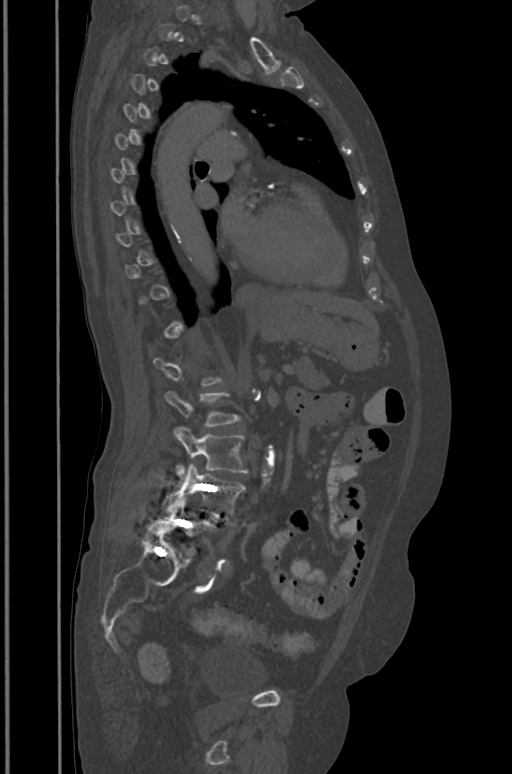

Spine computed tomography — sagittal reformat — bone-window reconstruction — 512x774 px — 391 mm wide
A vertebra is boxed only from the first to the last slice where its cross-section is at least a third of its largest; slices outside that range leave it without a box.
<vertebrae><v name="L2" x1="165" y1="391" x2="239" y2="426"/><v name="L3" x1="173" y1="427" x2="247" y2="482"/><v name="L4" x1="164" y1="463" x2="245" y2="518"/><v name="L5" x1="158" y1="495" x2="214" y2="550"/></vertebrae>